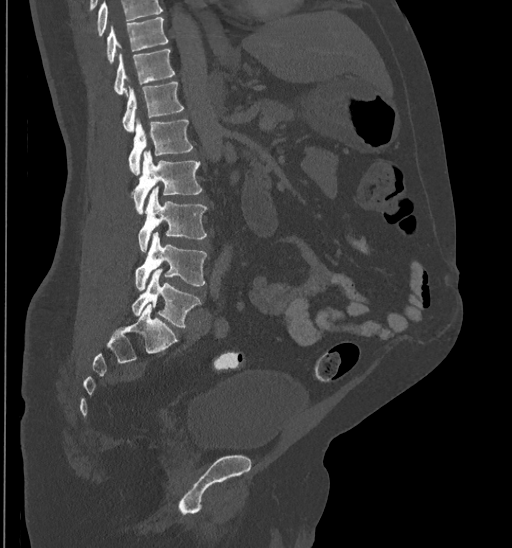 Spine computed tomography; sagittal view; 512x548 px

Coordinates as <box>x1,y1,x2,y2</box>.
Where the top of the scan cuts through a vertebra, that vertebra gets no label or box.
Vertebra bounding boxes:
- T10: <box>107,17,168,63</box>
- T11: <box>114,49,174,96</box>
- T12: <box>122,82,184,131</box>
- L1: <box>128,119,192,175</box>
- L2: <box>132,150,201,214</box>
- L3: <box>138,187,207,251</box>
- L4: <box>135,232,206,290</box>
- L5: <box>132,269,201,326</box>